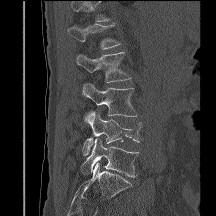

Spine computed tomography · sagittal view

Box edges are left/top/right/bottom in pixels.
A vertebra cut off by the top edge of the scan is not labeled and has no box.
| vertebra | x1 | y1 | x2 | y2 |
|---|---|---|---|---|
| L1 | 68 | 24 | 121 | 49 |
| L2 | 75 | 52 | 131 | 82 |
| L3 | 83 | 83 | 137 | 122 |
| L4 | 83 | 111 | 142 | 155 |
| L5 | 81 | 138 | 138 | 177 |